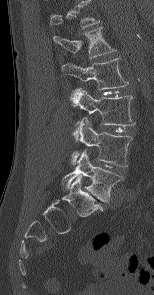 Spine CT. sagittal reformat. bone-window reconstruction. Box edges are left/top/right/bottom in pixels.
Labels in this scan begin with L1 at the top and end with L5 at the bottom.
Vertebra bounding boxes:
- L1: left=53, top=27, right=115, bottom=58
- L2: left=61, top=57, right=128, bottom=89
- L3: left=70, top=88, right=135, bottom=139
- L4: left=71, top=117, right=132, bottom=166
- L5: left=62, top=150, right=123, bottom=202